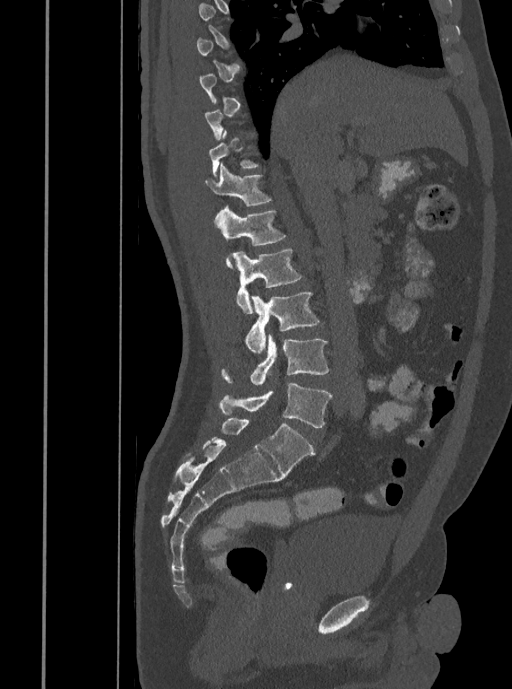 Computed tomography of the spine — sagittal reformat — bone-window reconstruction — image width 408 mm
Boxes: x1 y1 x2 y2 (pixel coords, space-separated). Not every vertebra on this slice has a box: a vertebra is boxed only from the first to the last slice where its cross-section is at least a third of its largest, and this slice is outside that range for at least one of them. 6 vertebrae labeled — L5 at 219 383 331 427; L4 at 221 334 330 384; L3 at 244 293 320 353; L2 at 231 248 303 313; L1 at 214 206 286 268; T12 at 205 163 271 206.